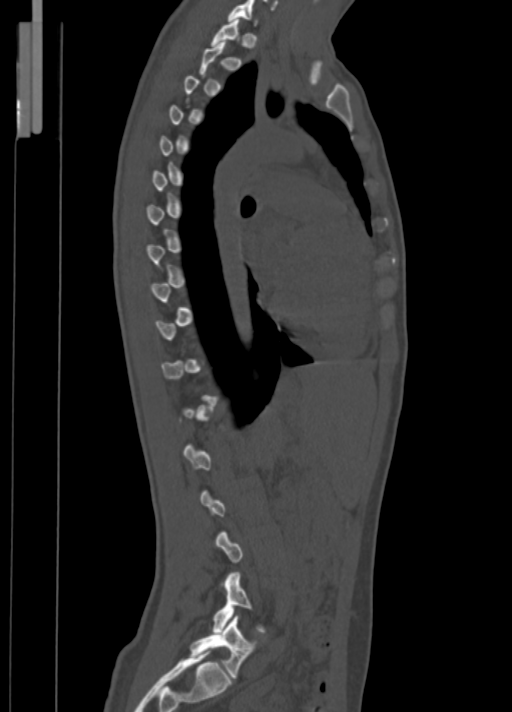

CT; sagittal view. Boxes: x1:y1:x2:y2 in pixels.
A vertebra is boxed only from the first to the last slice where its cross-section is at least a third of its largest; slices outside that range leave it without a box.
C7: 227:0:258:25
L4: 213:572:266:632
L5: 190:616:258:678